CT spine — sagittal view — 150 mm wide — 512x943 px
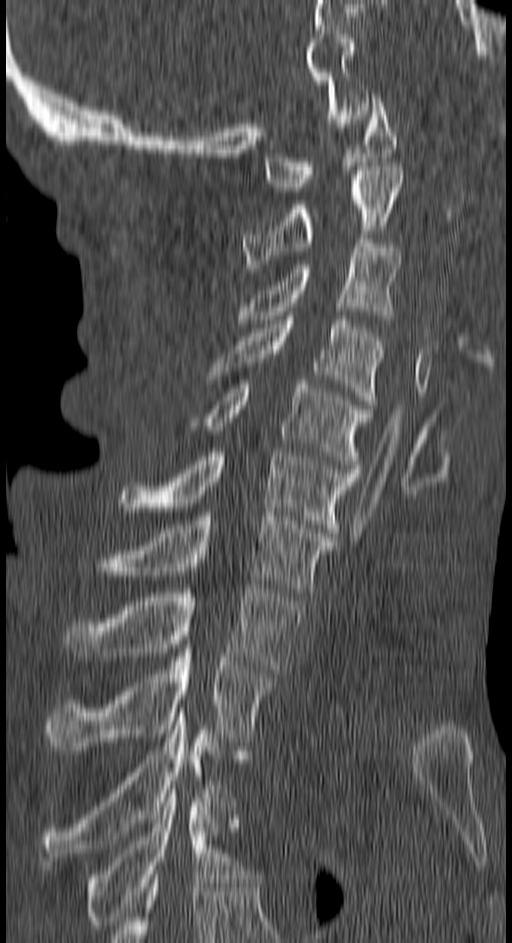

Boxes: x1 y1 x2 y2 (pixel coords, space-separated).
T4: 87 789 249 929
T3: 42 708 229 865
T2: 46 649 275 750
T1: 66 585 302 673
C7: 100 512 335 596
C6: 121 452 359 537
C5: 206 380 372 468
C4: 206 316 383 404
C3: 239 239 400 323
C2: 243 166 403 272
C1: 264 94 396 191